CT spine — sagittal view
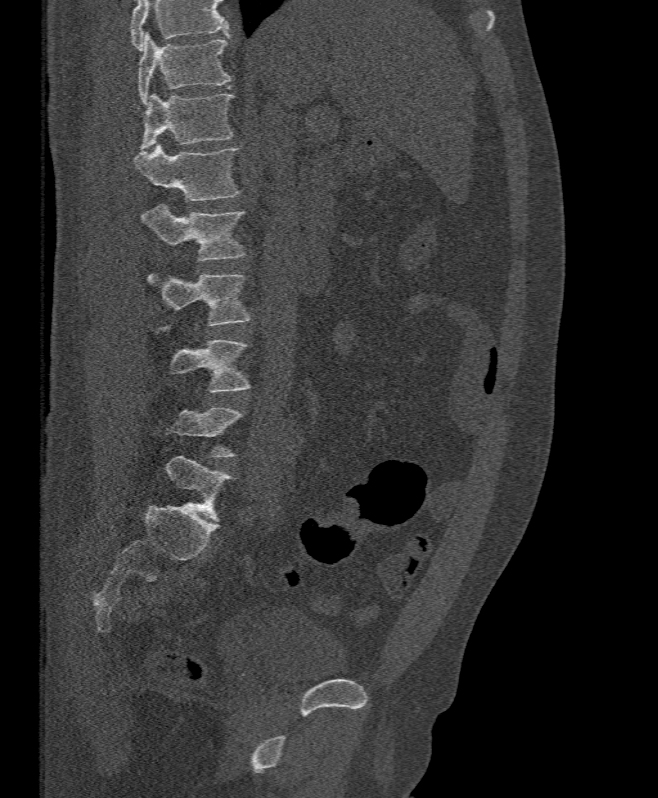
Coordinates as <box>x1,y1,x2,y2</box>. A vertebra gets a box only on the slices from the first to the last where its cross-section is at least a third of its largest; on a slice outside that range it gets none. Where the top of the scan cuts through a vertebra, that vertebra gets no label or box. 6 vertebrae labeled — T11 at <box>138,32,230,104</box>; T12 at <box>140,93,232,150</box>; L1 at <box>135,143,239,201</box>; L2 at <box>141,205,246,261</box>; L3 at <box>147,273,248,326</box>; L4 at <box>156,326,251,392</box>.